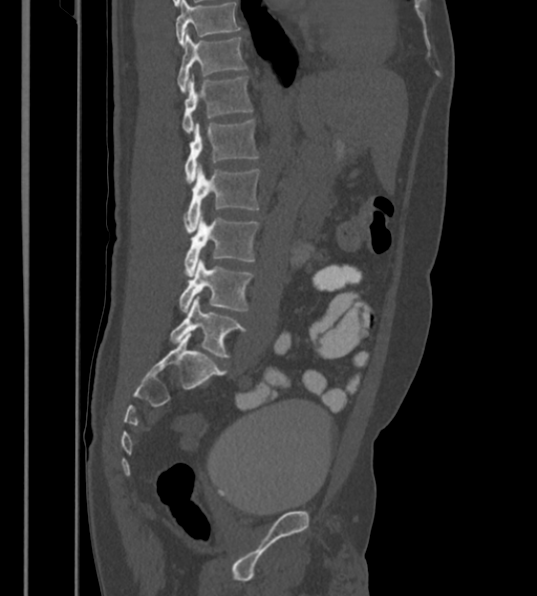
Computed tomography of the spine · sagittal view · Bone window (WL 400, WW 1800) · 537x596 px. In the table, x1 and y1 are a box's top-left corner and x2 and y2 its bottom-right corner, in pixels.
Labels in this scan begin with T12 at the top and end with L6 at the bottom.
These labels give the spine a sixth lumbar vertebra, L6, below L5.
| vertebra | x1 | y1 | x2 | y2 |
|---|---|---|---|---|
| T12 | 177 | 31 | 247 | 91 |
| L1 | 182 | 75 | 253 | 133 |
| L2 | 185 | 119 | 259 | 183 |
| L3 | 184 | 164 | 259 | 233 |
| L4 | 184 | 211 | 259 | 276 |
| L5 | 178 | 259 | 253 | 313 |
| L6 | 170 | 296 | 247 | 358 |